CT spine · sagittal view
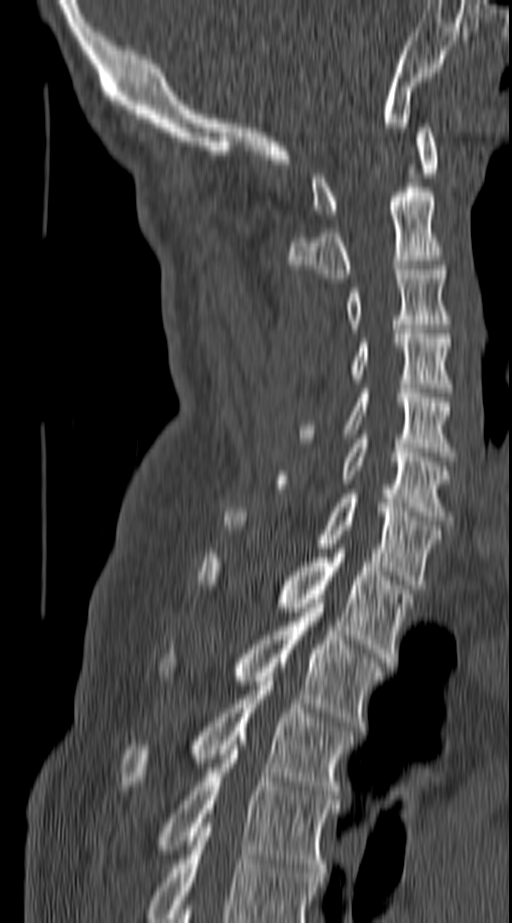

Boxes: x1:y1:x2:y2 in pixels. This scan's labels start at C1 at the top and end at T4 at the bottom. 11 vertebrae labeled — T4 at 159:745:337:877; T3 at 122:677:351:799; T2 at 162:603:381:730; T1 at 199:549:414:662; C7 at 224:494:439:589; C6 at 277:434:450:525; C5 at 296:389:454:456; C4 at 349:329:450:392; C3 at 345:265:450:328; C2 at 287:187:443:282; C1 at 312:123:436:214.